CT, spine — Sagittal slice 323/512 — bone window — 512x760 px
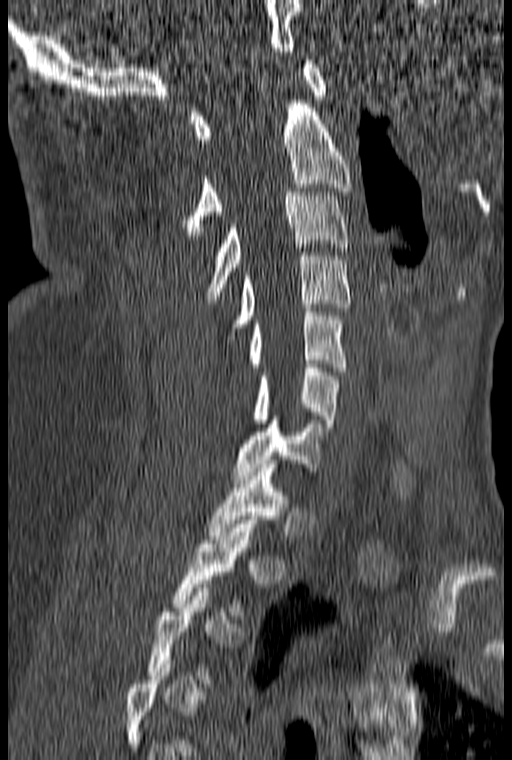
A vertebra is boxed only from the first to the last slice where its cross-section is at least a third of its largest; slices outside that range leave it without a box.
<vertebrae><v name="T2" x1="172" y1="520" x2="256" y2="615"/><v name="T1" x1="208" y1="464" x2="288" y2="539"/><v name="C7" x1="233" y1="416" x2="322" y2="479"/><v name="C6" x1="253" y1="364" x2="339" y2="427"/><v name="C5" x1="248" y1="308" x2="346" y2="371"/><v name="C4" x1="223" y1="252" x2="350" y2="347"/><v name="C3" x1="206" y1="192" x2="349" y2="299"/><v name="C2" x1="180" y1="100" x2="352" y2="235"/><v name="C1" x1="189" y1="60" x2="327" y2="143"/></vertebrae>